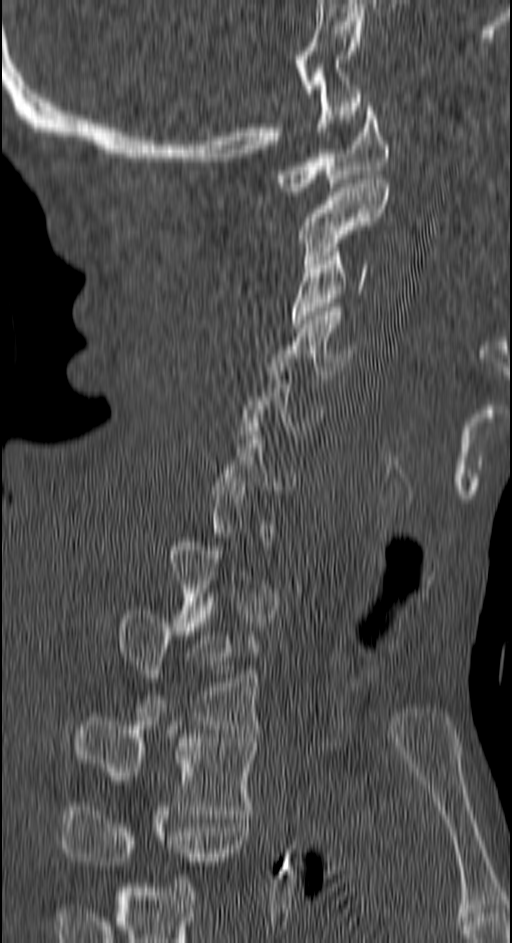
CT · sagittal view · W/L 1800/400 HU · image 150 mm wide. Columns x1, y1, x2, y2 give each box's top-left and bottom-right pixels.
A vertebra gets a box only on the slices from the first to the last where its cross-section is at least a third of its largest; on a slice outside that range it gets none.
This scan's labels start at C1 at the top and end at T4 at the bottom.
| vertebra | x1 | y1 | x2 | y2 |
|---|---|---|---|---|
| C1 | 274 | 102 | 389 | 195 |
| C2 | 298 | 179 | 389 | 268 |
| C3 | 291 | 247 | 371 | 328 |
| C4 | 272 | 307 | 355 | 383 |
| T2 | 117 | 610 | 260 | 729 |
| T3 | 73 | 717 | 256 | 814 |
| T4 | 63 | 811 | 249 | 865 |